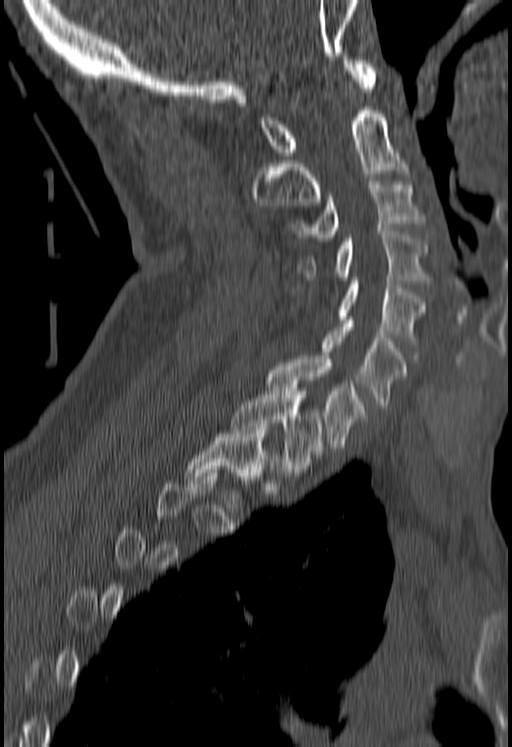
Spine computed tomography — sagittal view — 512x747 px. Boxes are given in columns x1, y1, x2, y2, the pixel coordinates of their top-left and bottom-right corners.
Not every vertebra on this slice has a box: a vertebra is boxed only from the first to the last slice where its cross-section is at least a third of its largest, and this slice is outside that range for at least one of them.
| vertebra | x1 | y1 | x2 | y2 |
|---|---|---|---|---|
| C1 | 260 | 57 | 376 | 155 |
| C2 | 251 | 107 | 407 | 209 |
| C3 | 291 | 181 | 424 | 241 |
| C4 | 298 | 231 | 429 | 283 |
| C5 | 339 | 277 | 425 | 340 |
| C6 | 322 | 320 | 407 | 408 |
| C7 | 268 | 356 | 365 | 451 |
| T1 | 230 | 391 | 321 | 472 |